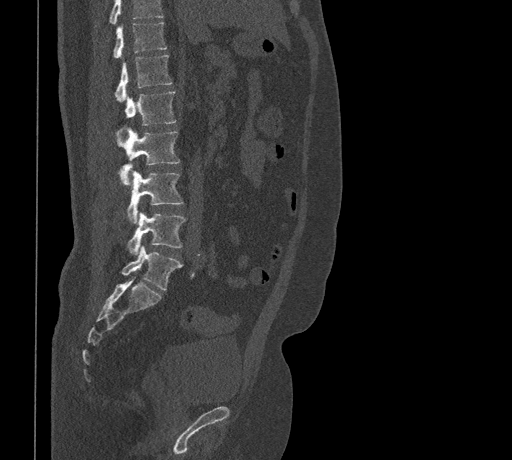 CT, spine. sagittal view. 512x460 px

Each box is [x1, y1, x2, y2] in pixels: top-left corner, then bottom-right corner.
A vertebra cut off by the top edge of the scan is not labeled and has no box.
{"vertebrae":{"T11":[113,22,166,58],"T12":[114,55,172,101],"L1":[121,91,175,128],"L2":[119,129,180,185],"L3":[127,171,183,222],"L4":[127,212,185,255],"L5":[121,246,182,290]}}